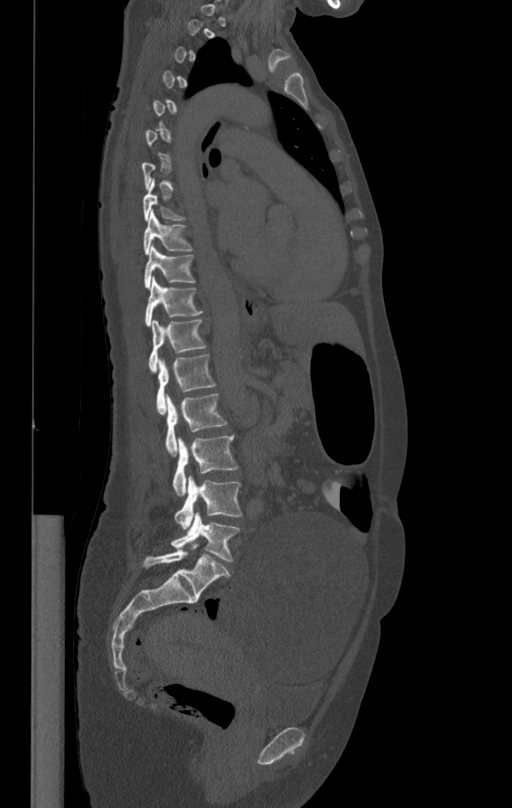
Spine computed tomography · sagittal view
Each vertebra is boxed only on the slices from the first to the last where its cross-section reaches a third of its largest, so a slice outside that range leaves it unboxed.
<vertebrae><v name="L5" x1="170" y1="512" x2="239" y2="560"/><v name="L4" x1="175" y1="475" x2="241" y2="529"/><v name="L3" x1="173" y1="435" x2="237" y2="496"/><v name="L2" x1="165" y1="394" x2="226" y2="456"/><v name="L1" x1="156" y1="353" x2="215" y2="414"/><v name="T12" x1="148" y1="319" x2="205" y2="371"/><v name="T11" x1="145" y1="277" x2="203" y2="327"/><v name="T10" x1="144" y1="245" x2="195" y2="288"/><v name="T9" x1="143" y1="211" x2="191" y2="255"/></vertebrae>